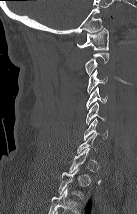
CT, spine · sagittal view · image width 137 mm
Each vertebra maps to its box as [x1, y1, x2, y2], the pixel coordinates of its top-left and bottom-right corners.
A vertebra gets a box only on the slices from the first to the last where its cross-section is at least a third of its largest; on a slice outside that range it gets none.
Labels in this scan begin with C1 at the top and end with T2 at the bottom.
{"vertebrae":{"T2":[58,168,84,199],"C6":[84,118,108,140],"C5":[86,102,106,124],"C4":[86,87,107,108],"C3":[87,69,108,94],"C1":[77,28,108,50]}}